Spine computed tomography · sagittal view · bone window · 9 vertebrae labeled in this scan · part of the scan has been removed (filled with constant black)
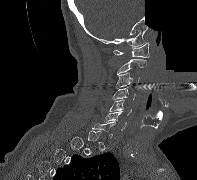

Boxes: x1:y1:x2:y2 in pixels.
A vertebra is boxed only from the first to the last slice where its cross-section is at least a third of its largest; slices outside that range leave it without a box.
Vertebra bounding boxes:
- C1: 113:42:149:57
- C2: 117:59:146:75
- C3: 115:72:139:88
- C4: 112:86:135:99
- C5: 109:99:131:115
- C6: 104:111:126:130
- C7: 92:121:115:138